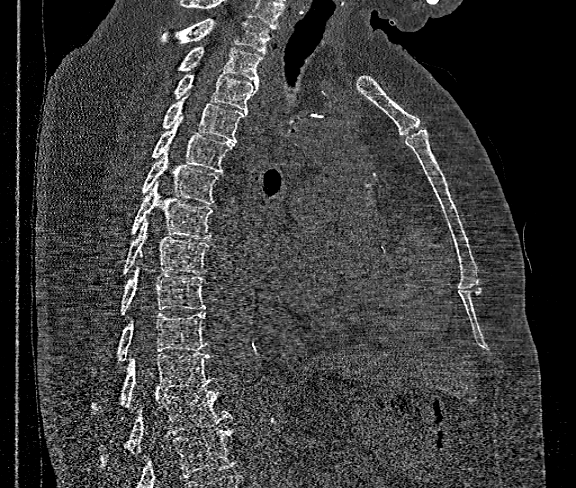

Spine computed tomography · 360 mm image width · sagittal view. Boxes: x1 y1 x2 y2 (pixel coords, space-separated).
No box is given to a vertebra that the bottom edge of the scan cuts off.
The highest labeled vertebra in this scan is T1; the lowest is T12.
Vertebra bounding boxes:
- T12: 100 389 231 463
- T11: 92 354 212 412
- T10: 118 312 207 361
- T9: 121 264 205 315
- T8: 123 219 208 273
- T7: 133 182 212 238
- T6: 142 149 218 204
- T5: 152 116 234 172
- T4: 163 95 245 140
- T3: 174 74 258 113
- T2: 179 47 262 83
- T1: 161 18 272 54